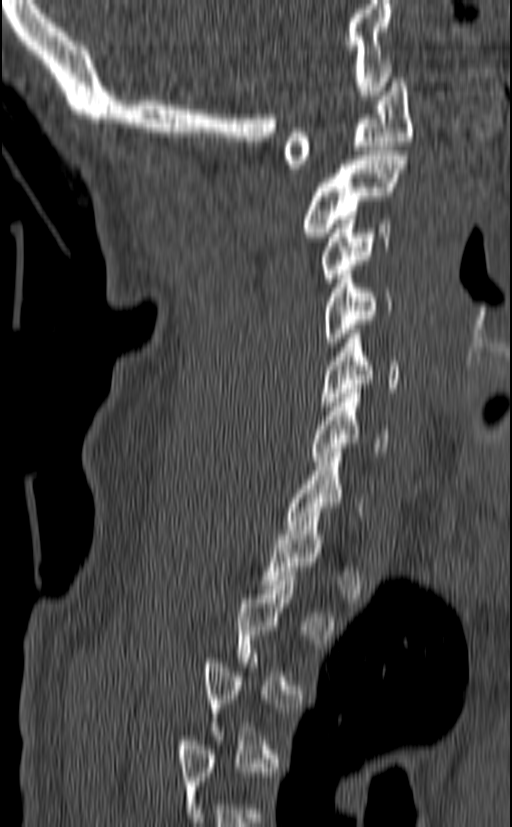
Spine CT; sagittal view; bone-window reconstruction; 512x827 px
Each vertebra is boxed only on the slices from the first to the last where its cross-section reaches a third of its largest, so a slice outside that range leaves it unboxed.
<vertebrae><v name="C1" x1="283" y1="78" x2="412" y2="173"/><v name="C2" x1="301" y1="151" x2="407" y2="237"/><v name="C3" x1="320" y1="219" x2="392" y2="282"/><v name="C4" x1="323" y1="265" x2="393" y2="346"/><v name="C5" x1="319" y1="329" x2="399" y2="406"/><v name="C6" x1="310" y1="389" x2="390" y2="461"/><v name="C7" x1="285" y1="448" x2="362" y2="534"/></vertebrae>